Spine computed tomography. sagittal plane, index 244. Bone window (WL 400, WW 1800). 512x760 px
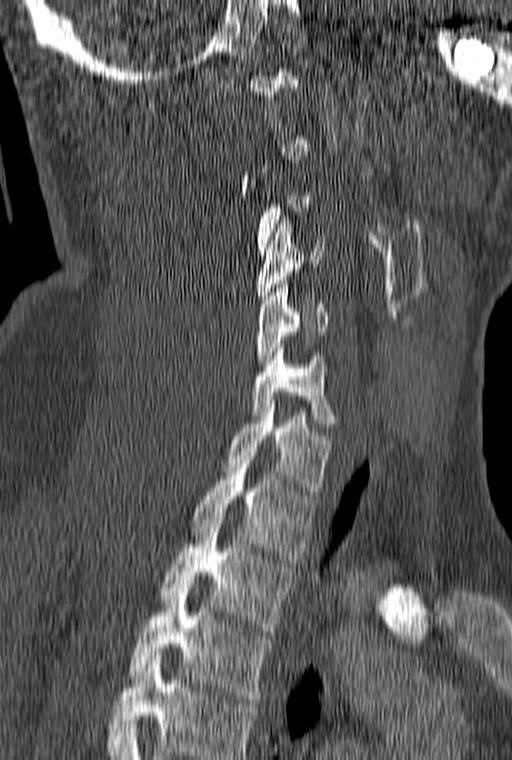
Each box is [x1, y1, x2, y2] in pixels: top-left corner, then bottom-right corner.
Not every vertebra on this slice has a box: a vertebra is boxed only from the first to the last slice where its cross-section is at least a third of its largest, and this slice is outside that range for at least one of them.
The highest labeled vertebra in this scan is C1; the lowest is T3.
{"vertebrae":{"C4":[257,220,324,303],"C5":[257,280,327,367],"C6":[251,344,336,427],"C7":[225,400,333,495],"T1":[190,464,315,559],"T2":[158,520,295,635],"T3":[129,588,272,703]}}